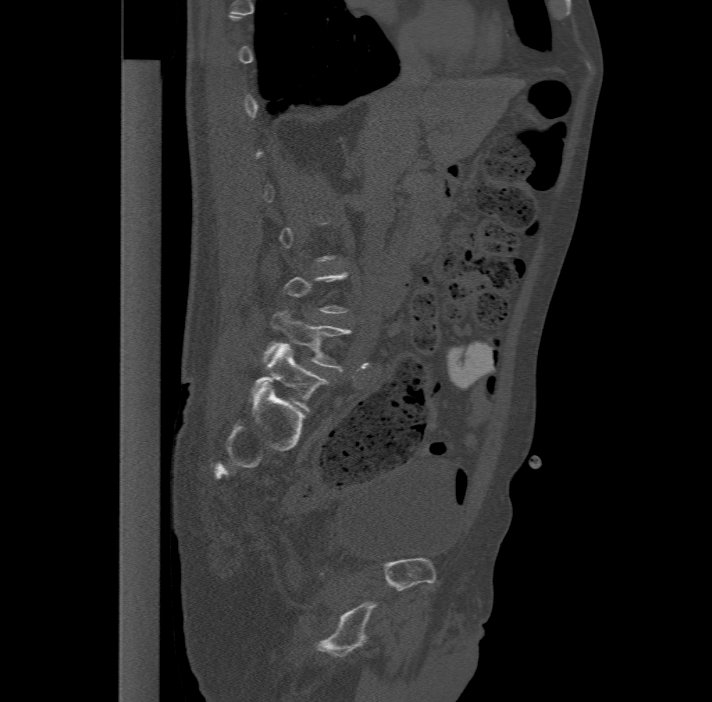
CT — the image is 477 mm wide — sagittal view — 712x702 px
Each vertebra is boxed only on the slices from the first to the last where its cross-section reaches a third of its largest, so a slice outside that range leaves it unboxed.
These labels give the spine a sixth lumbar vertebra, L6, below L5.
<vertebrae><v name="L5" x1="263" y1="309" x2="351" y2="370"/><v name="L6" x1="252" y1="344" x2="329" y2="412"/></vertebrae>